Spine computed tomography; sagittal plane, index 42; bone-window reconstruction; 356x356 px; scan covers 10 annotated vertebrae
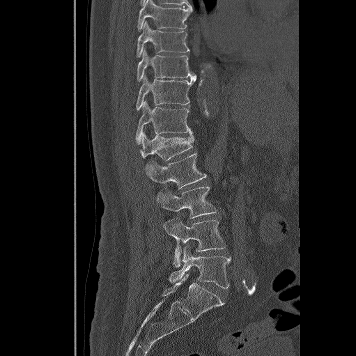
Coordinates as <box>x1,y1,x2,y2</box>.
T8: <box>137,0,192,32</box>
T9: <box>136,21,189,57</box>
T10: <box>137,49,196,81</box>
T11: <box>136,76,196,110</box>
T12: <box>135,100,192,144</box>
L1: <box>139,132,193,160</box>
L2: <box>145,153,206,188</box>
L3: <box>156,186,216,218</box>
L4: <box>163,217,224,267</box>
L5: <box>169,245,231,288</box>